CT; sagittal plane, index 79; scan covers 25 annotated vertebrae; the image spans 350 mm across; a region is masked with a constant gray value
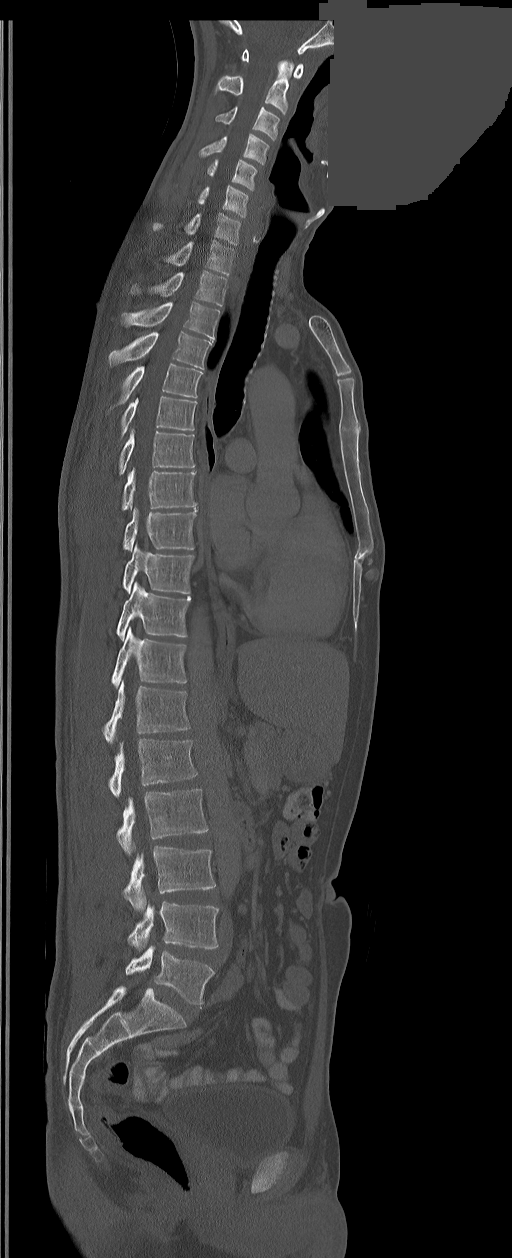

Box values are [left, top, right, bottom] in pixels.
The labels name a sixth lumbar vertebra for this spine: L6, after L5.
{"vertebrae":{"C1":[242,49,303,78],"C2":[214,60,293,113],"C3":[217,107,279,140],"C4":[199,133,268,165],"C5":[208,160,257,189],"C6":[198,185,248,217],"C7":[152,212,241,245],"T1":[167,240,235,274],"T2":[130,271,226,306],"T3":[122,302,219,339],"T4":[108,331,211,368],"T5":[119,363,201,404],"T6":[120,397,197,437],"T7":[119,430,194,475],"T8":[122,468,195,510],"T9":[123,508,197,551],"T10":[123,544,194,593],"T11":[116,582,191,640],"T12":[111,628,186,687],"L1":[103,680,189,744],"L2":[108,739,197,796],"L3":[116,789,207,855],"L4":[123,846,216,911],"L5":[128,901,219,950],"L6":[126,945,214,1006]}}